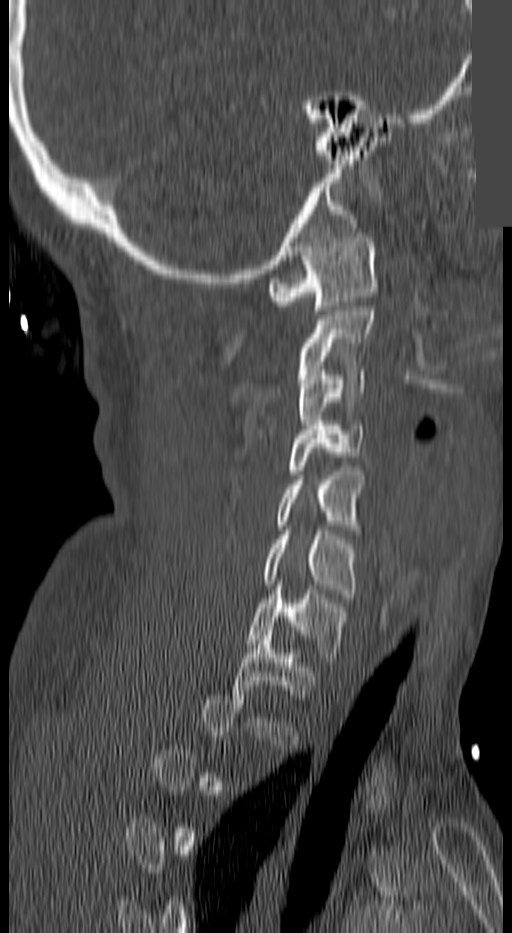 CT. sagittal view. W/L 1800/400 HU. a portion of the image is blanked out (constant pixel value)

In the table, x1 and y1 are a box's top-left corner and x2 and y2 its bottom-right corner, in pixels.
Each vertebra is boxed only on the slices from the first to the last where its cross-section reaches a third of its largest, so a slice outside that range leaves it unboxed.
| vertebra | x1 | y1 | x2 | y2 |
|---|---|---|---|---|
| C1 | 268 | 233 | 377 | 310 |
| C2 | 298 | 306 | 373 | 369 |
| C3 | 298 | 366 | 366 | 433 |
| C4 | 287 | 421 | 366 | 474 |
| C5 | 276 | 471 | 362 | 534 |
| C6 | 265 | 530 | 359 | 598 |
| C7 | 246 | 585 | 348 | 662 |
| T1 | 232 | 631 | 315 | 703 |